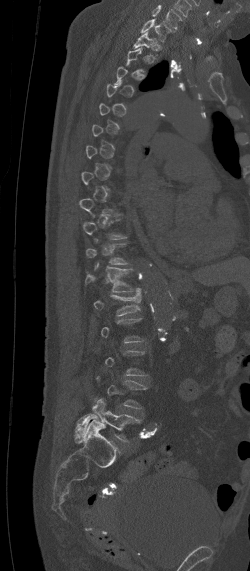 CT, spine; sagittal view; 250 mm image width; bone window

Each row gives a vertebra's box as x1, y1, x2, y2 in pixels: top-left corner, then bottom-right corner.
A vertebra is boxed only from the first to the last slice where its cross-section is at least a third of its largest; slices outside that range leave it without a box.
In this scan, the topmost labeled vertebra is C7 and the lowest is L5.
| vertebra | x1 | y1 | x2 | y2 |
|---|---|---|---|---|
| C7 | 141 | 18 | 174 | 41 |
| T1 | 132 | 30 | 156 | 54 |
| T12 | 84 | 262 | 133 | 292 |
| L1 | 94 | 287 | 141 | 315 |
| L5 | 73 | 399 | 140 | 441 |